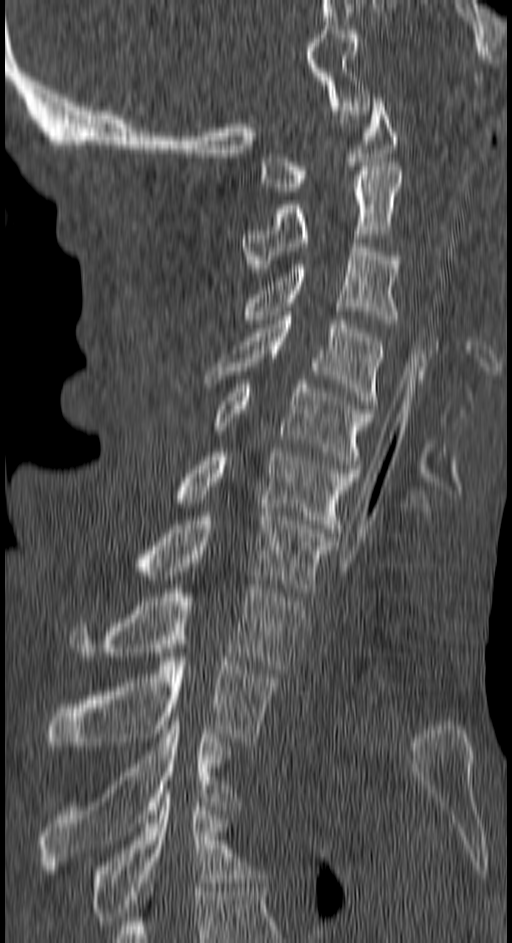
Spine computed tomography. sagittal view. Each box given as x1,y1,x2,y2.
| vertebra | x1 | y1 | x2 | y2 |
|---|---|---|---|---|
| C1 | 261 | 98 | 396 | 191 |
| C2 | 243 | 166 | 403 | 272 |
| C3 | 240 | 243 | 400 | 323 |
| C4 | 206 | 316 | 383 | 404 |
| C5 | 213 | 380 | 373 | 468 |
| C6 | 172 | 452 | 359 | 537 |
| C7 | 131 | 512 | 335 | 592 |
| T1 | 69 | 585 | 303 | 673 |
| T2 | 46 | 649 | 277 | 746 |
| T3 | 39 | 721 | 236 | 869 |
| T4 | 90 | 789 | 256 | 925 |